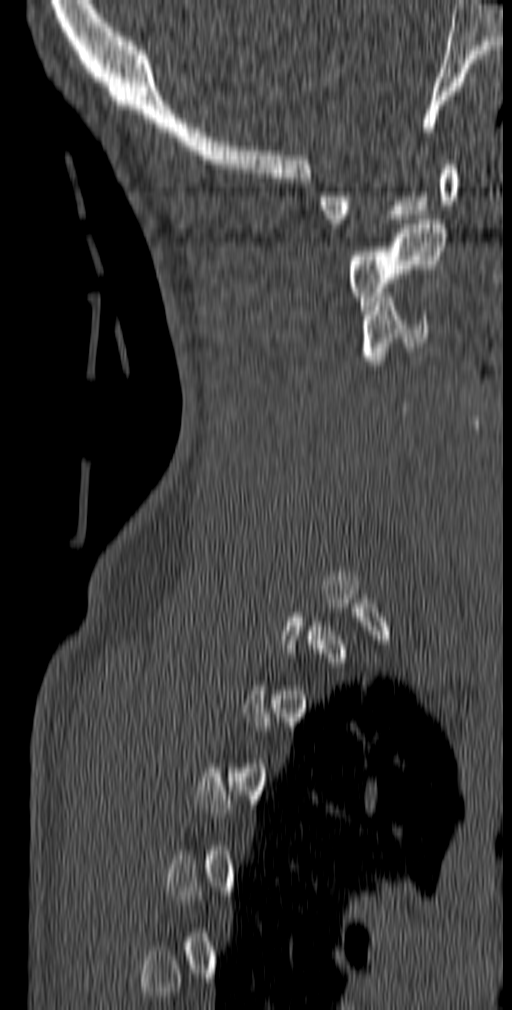
Computed tomography of the spine; sagittal view
Each row gives a vertebra's box as x1, y1, x2, y2 in pixels: top-left corner, then bottom-right corner.
Not every vertebra on this slice has a box: a vertebra is boxed only from the first to the last slice where its cross-section is at least a third of its largest, and this slice is outside that range for at least one of them.
| vertebra | x1 | y1 | x2 | y2 |
|---|---|---|---|---|
| C1 | 319 | 160 | 457 | 228 |
| C2 | 349 | 219 | 446 | 310 |
| C3 | 361 | 297 | 430 | 365 |